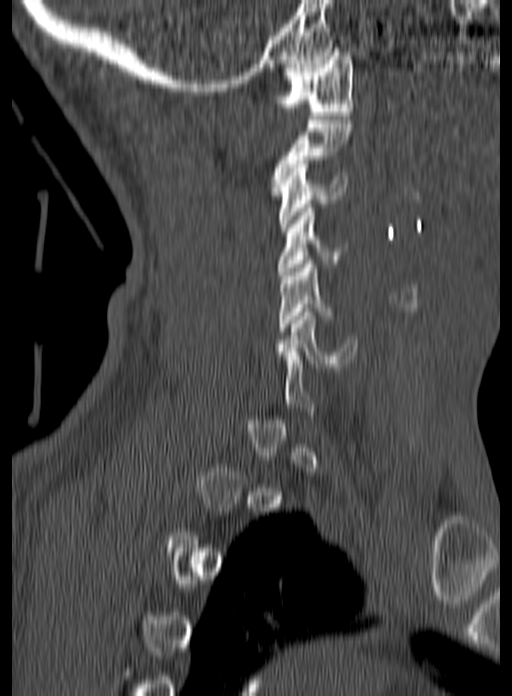
CT, spine; sagittal view; bone-window reconstruction
A vertebra gets a box only on the slices from the first to the last where its cross-section is at least a third of its largest; on a slice outside that range it gets none.
<vertebrae><v name="C1" x1="271" y1="48" x2="353" y2="119"/><v name="C2" x1="271" y1="120" x2="353" y2="195"/><v name="C3" x1="278" y1="160" x2="346" y2="231"/><v name="C4" x1="276" y1="208" x2="346" y2="275"/><v name="C5" x1="278" y1="260" x2="333" y2="331"/><v name="C6" x1="273" y1="308" x2="357" y2="367"/></vertebrae>